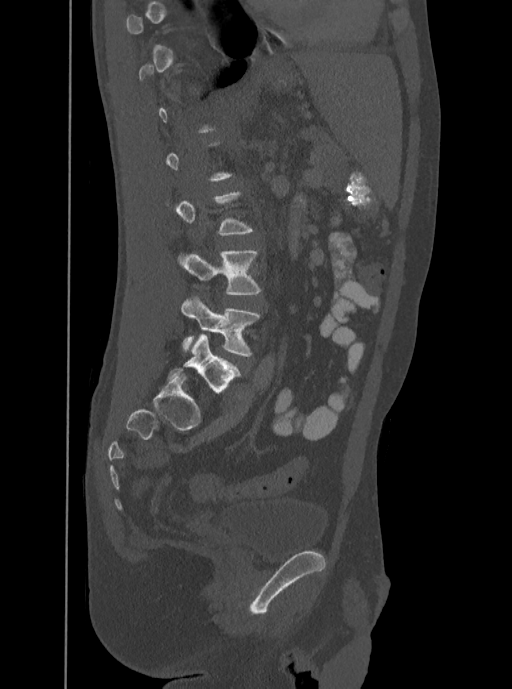 Spine computed tomography · sagittal reformat · 512x689 px

Boxes below are [x1, y1, x2, y2] in pixels.
Each vertebra is boxed only on the slices from the first to the last where its cross-section reaches a third of its largest, so a slice outside that range leaves it unboxed.
{"vertebrae":{"L4":[178,250,261,294],"L5":[181,295,261,356]}}